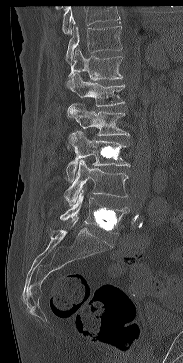
CT — sagittal view — image 183 mm wide — 183x363 px

Each vertebra maps to its box as [x1, y1, x2, y2], the pixel coordinates of its top-left and bottom-right corners.
A vertebra cut off by the top edge of the scan is not labeled and has no box.
{"vertebrae":{"T11":[66,21,122,62],"T12":[68,50,122,80],"L1":[67,73,125,106],"L2":[67,103,129,147],"L3":[65,131,129,181],"L4":[64,160,128,205],"L5":[59,190,128,234]}}